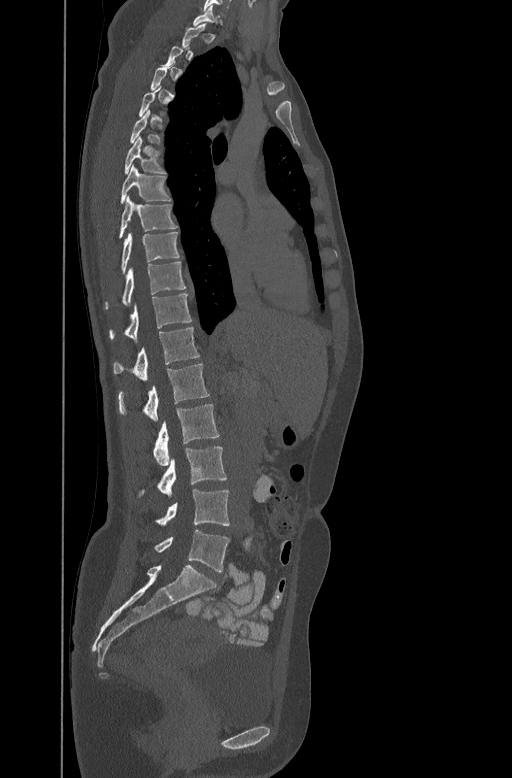 CT, spine. sagittal reformat. Bone window (WL 400, WW 1800). 512x778 px
Bounding boxes as [x1, y1, x2, y2] in pixel coordinates.
A vertebra gets a box only on the slices from the first to the last where its cross-section is at least a third of its largest; on a slice outside that range it gets none.
C7: [194, 6, 223, 25]
T6: [124, 135, 165, 173]
T7: [120, 163, 171, 202]
T8: [119, 194, 176, 236]
T9: [121, 231, 179, 271]
T10: [105, 261, 186, 308]
T11: [109, 292, 191, 341]
T12: [113, 326, 199, 380]
L1: [119, 363, 209, 421]
L2: [153, 404, 219, 465]
L3: [141, 446, 226, 498]
L4: [156, 489, 230, 527]
L5: [155, 530, 229, 571]